Spine computed tomography. the image spans 190 mm across. sagittal reformat
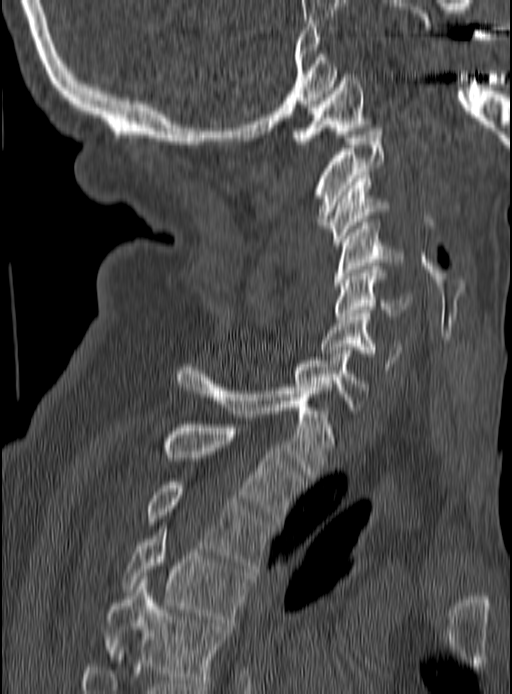

Box values are [left, top, right, bottom] in pixels.
{"vertebrae":{"T5":[106,579,229,686],"T4":[122,525,250,622],"T3":[146,482,272,568],"T2":[163,424,304,524],"T1":[176,364,334,477],"C7":[295,350,369,410],"C6":[321,310,401,370],"C5":[335,266,413,322],"C4":[335,222,404,289],"C3":[324,175,390,245],"C2":[313,128,383,228],"C1":[290,74,372,144]}}